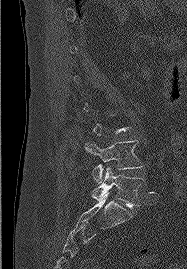

Computed tomography of the spine. sagittal view. image 187 mm wide. Bone window (WL 400, WW 1800)
Bounding boxes as [x1, y1, x2, y2] in pixel coordinates. A vertebra is boxed only from the first to the last slice where its cross-section is at least a third of its largest; slices outside that range leave it without a box. 2 vertebrae labeled — L4 at [85, 140, 142, 183]; L5 at [92, 167, 143, 208].